Spine CT — sagittal reformat
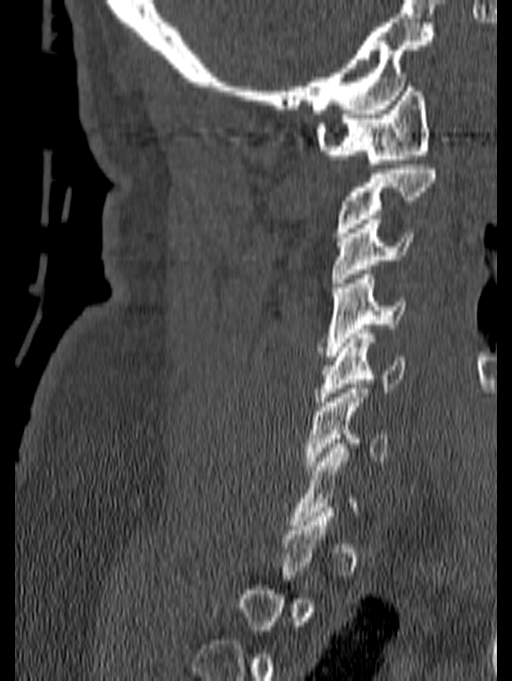
Boxes are (x1, y1, x2, y2) in pixels. A vertebra gets a box only on the slices from the first to the last where its cross-section is at least a third of its largest; on a slice outside that range it gets none. Vertebrae labeled: C1 at (315, 82, 429, 168), C2 at (335, 165, 435, 237), C3 at (331, 219, 415, 282), C4 at (318, 270, 406, 356), C5 at (315, 329, 405, 406), C6 at (305, 384, 388, 470).